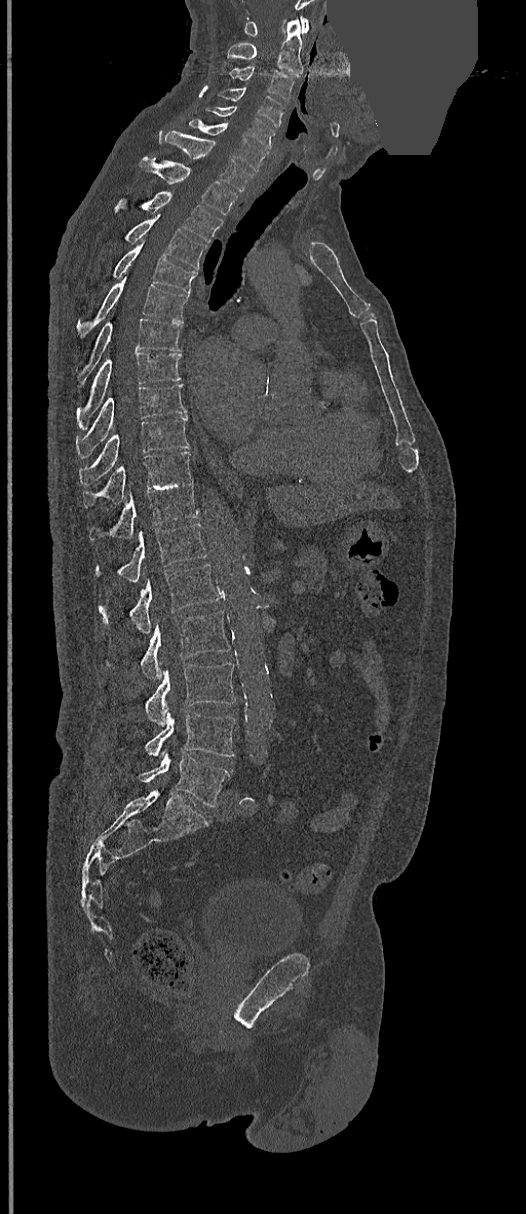

CT, spine · sagittal view · a uniform gray block covers part of the image
Box edges are left/top/right/bottom in pixels.
C1: left=244, top=17, right=309, bottom=36
C2: left=227, top=18, right=303, bottom=76
C3: left=229, top=66, right=295, bottom=102
C4: left=219, top=87, right=284, bottom=126
C5: left=205, top=106, right=274, bottom=149
C6: left=188, top=117, right=266, bottom=172
C7: left=158, top=130, right=253, bottom=192
T1: left=139, top=157, right=237, bottom=215
T2: left=114, top=191, right=222, bottom=242
T3: left=124, top=216, right=207, bottom=269
T4: left=88, top=241, right=197, bottom=293
T5: left=76, top=271, right=189, bottom=339
T6: left=76, top=319, right=182, bottom=389
T7: left=77, top=353, right=182, bottom=425
T8: left=77, top=384, right=186, bottom=456
T9: left=80, top=416, right=189, bottom=485
T10: left=82, top=451, right=192, bottom=508
T11: left=89, top=481, right=199, bottom=540
T12: left=95, top=523, right=207, bottom=583
L1: left=99, top=564, right=220, bottom=633
L2: left=140, top=610, right=230, bottom=680
L3: left=146, top=663, right=236, bottom=726
L4: left=146, top=711, right=236, bottom=760
L5: left=140, top=751, right=230, bottom=806